CT spine — 340 mm across the image — sagittal plane, index 165
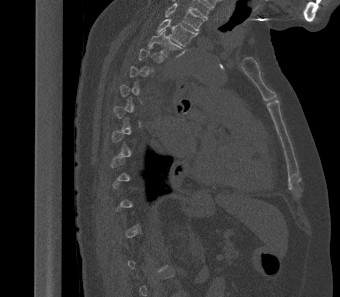 Each box given as x1,y1,x2,y2. A vertebra gets a box only on the slices from the first to the last where its cross-section is at least a third of its largest; on a slice outside that range it gets none. In this scan, the topmost labeled vertebra is T2 and the lowest is L1. The labeled vertebrae in this slice are: T2 at x1=157, y1=19, x2=197, y2=46, T3 at x1=148, y1=29, x2=183, y2=56.